Spine CT; sagittal view; bone-window reconstruction; 10 vertebrae labeled in this scan
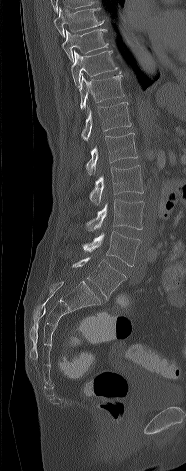

Boxes below are [x1, y1, x2, y2] in pixels.
{"vertebrae":{"T8":[54,7,103,37],"T9":[62,28,108,62],"T10":[71,50,118,87],"T11":[78,70,124,109],"T12":[81,102,131,140],"L1":[85,133,137,175],"L2":[89,165,143,205],"L3":[86,199,144,230],"L4":[82,231,141,266],"L5":[72,257,125,298]}}